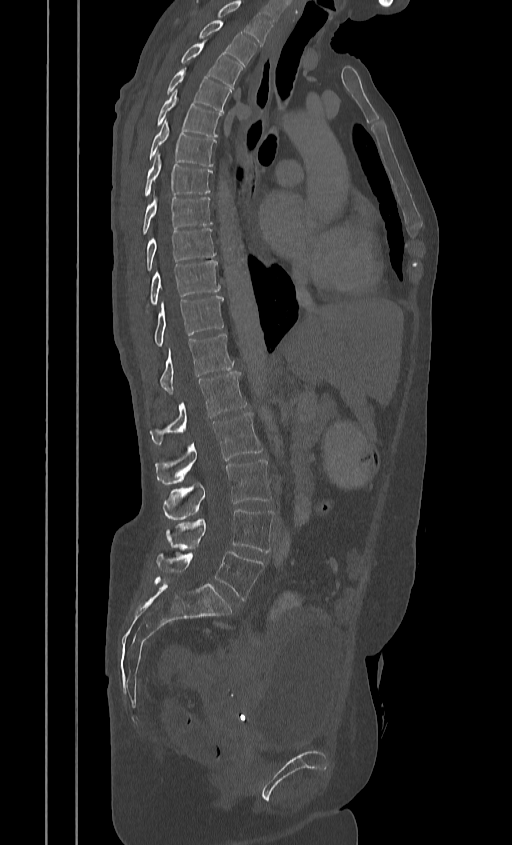

Spine computed tomography; sagittal view; bone window
Boxes are (x1, y1, x2, y2) in pixels.
In this scan, the topmost labeled vertebra is T2 and the lowest is L5.
Vertebra bounding boxes:
- T2: (198, 20, 256, 66)
- T3: (180, 41, 241, 88)
- T4: (166, 67, 231, 112)
- T5: (156, 91, 221, 136)
- T6: (148, 120, 216, 166)
- T7: (142, 153, 212, 196)
- T8: (141, 197, 212, 235)
- T9: (145, 228, 216, 270)
- T10: (149, 260, 220, 304)
- T11: (154, 296, 224, 347)
- T12: (160, 333, 233, 394)
- L1: (150, 372, 247, 444)
- L2: (156, 412, 261, 484)
- L3: (162, 460, 271, 519)
- L4: (165, 509, 273, 552)
- L5: (156, 551, 263, 600)